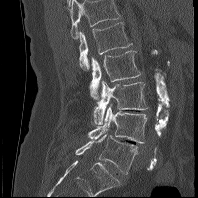
CT · sagittal view
This scan's labels start at L1 at the top and end at L5 at the bottom.
<vertebrae><v name="L1" x1="78" y1="22" x2="132" y2="70"/><v name="L2" x1="89" y1="51" x2="142" y2="99"/><v name="L3" x1="93" y1="80" x2="148" y2="124"/><v name="L4" x1="88" y1="103" x2="147" y2="143"/><v name="L5" x1="75" y1="134" x2="137" y2="174"/></vertebrae>